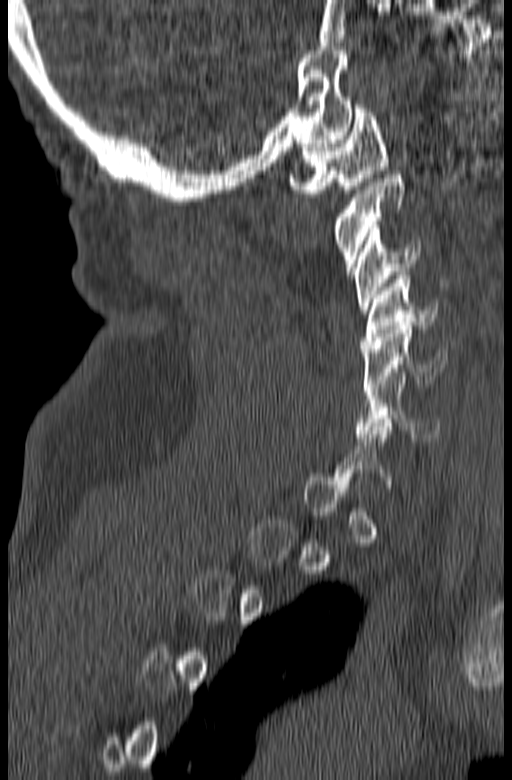
Spine computed tomography · sagittal view · W/L 1800/400 HU
In the table, x1 and y1 are a box's top-left corner and x2 and y2 its bottom-right corner, in pixels.
Not every vertebra on this slice has a box: a vertebra is boxed only from the first to the last slice where its cross-section is at least a third of its largest, and this slice is outside that range for at least one of them.
| vertebra | x1 | y1 | x2 | y2 |
|---|---|---|---|---|
| C1 | 290 | 105 | 388 | 197 |
| C2 | 333 | 171 | 405 | 271 |
| C3 | 352 | 225 | 419 | 313 |
| C4 | 361 | 272 | 438 | 348 |
| C5 | 362 | 322 | 446 | 391 |
| C6 | 355 | 372 | 441 | 441 |